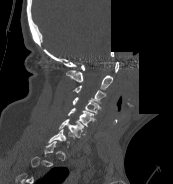

Spine computed tomography · sagittal view · bone-window reconstruction · a portion of the image is blanked out (constant pixel value). Boxes: x1 y1 x2 y2 (pixel coords, space-separated).
Each vertebra is boxed only on the slices from the first to the last where its cross-section reaches a third of its largest, so a slice outside that range leaves it unboxed.
C7: 48 129 74 147
C6: 59 119 84 137
C5: 68 107 96 126
C4: 72 97 101 114
C3: 73 85 106 102
C2: 65 70 113 89
C1: 81 61 118 72